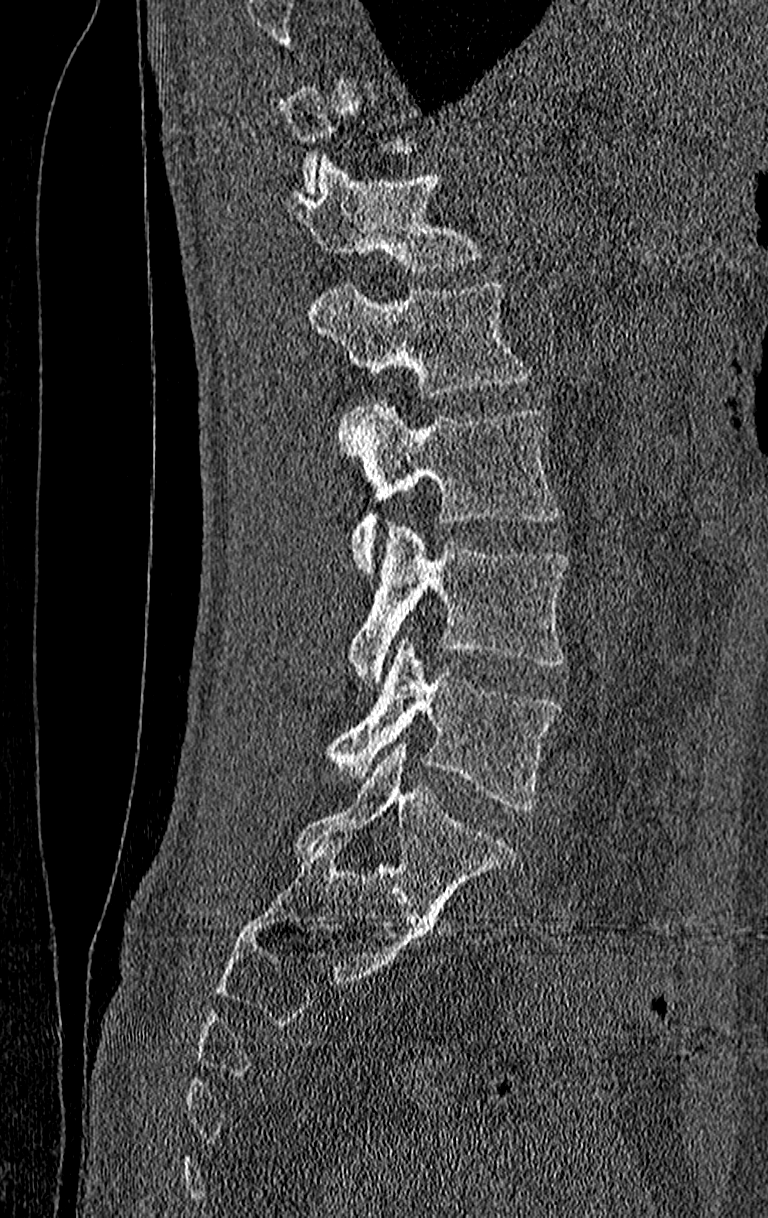
CT spine — sagittal view — bone-window reconstruction — 768x1218 px. Boxes: x1 y1 x2 y2 (pixel coords, space-separated).
A vertebra gets a box only on the slices from the first to the last where its cross-section is at least a third of its largest; on a slice outside that range it gets none.
In this scan, the topmost labeled vertebra is T11 and the lowest is L4.
T12: 280 158 480 271
L1: 306 283 528 399
L2: 339 400 557 570
L3: 350 523 568 684
L4: 328 637 561 812